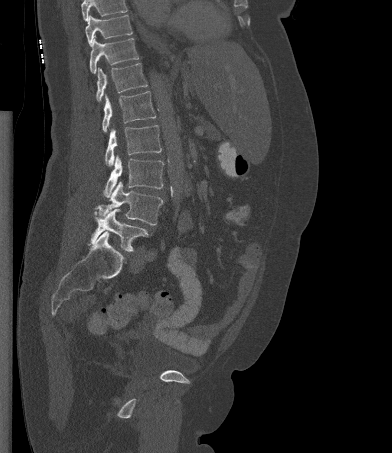
Spine computed tomography · sagittal view · W/L 1800/400 HU
Each box is [x1, y1, x2, y2] in pixels: top-left corner, then bottom-right corner.
Where the top of the scan cuts through a vertebra, that vertebra gets no label or box.
{"vertebrae":{"T10":[85,15,132,45],"T11":[89,37,139,73],"T12":[96,63,147,101],"L1":[102,91,155,132],"L2":[105,125,161,166],"L3":[103,155,163,197],"L4":[97,181,162,225],"L5":[90,209,148,251]}}